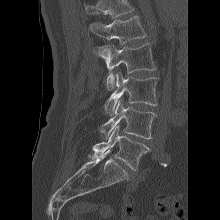 CT, spine · sagittal reformat · Bone window (WL 400, WW 1800)

Boxes: x1 y1 x2 y2 (pixel coords, space-separated).
No box is given to a vertebra that the top edge of the scan cuts off.
Vertebra bounding boxes:
- L5: 92 125 150 170
- L4: 99 99 156 139
- L3: 104 72 158 116
- L2: 91 43 156 90
- L1: 89 15 146 44